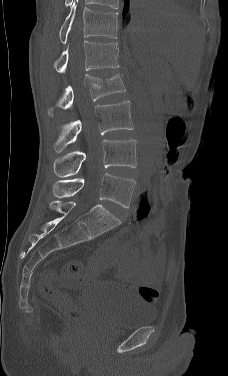
CT, spine — sagittal view — Bone window (WL 400, WW 1800) — 228x376 px
Boxes below are [x1, y1, x2, y2] in pixels.
This scan's labels start at L1 at the top and end at L5 at the bottom.
{"vertebrae":{"L5":[53,173,135,208],"L4":[53,139,136,177],"L3":[53,101,133,152],"L2":[47,73,125,116],"L1":[53,40,119,73]}}